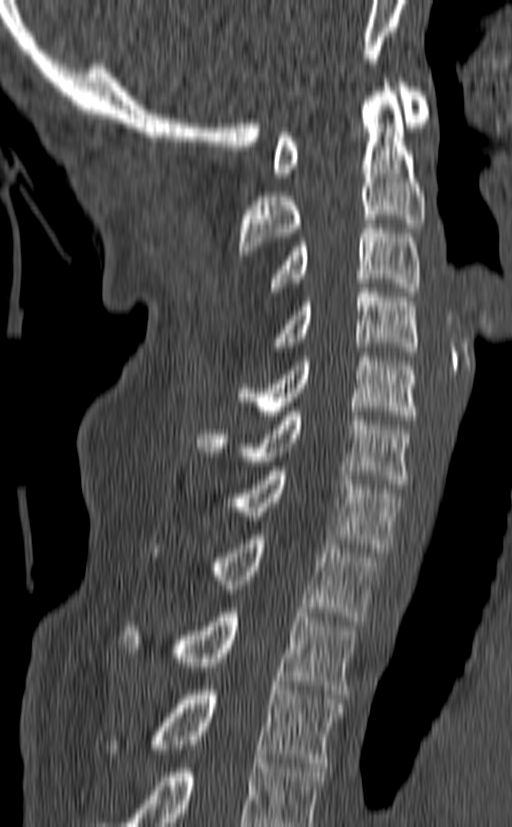

Spine computed tomography — image width 140 mm — sagittal view

Each vertebra maps to its box as [x1, y1, x2, y2], the pixel coordinates of its top-left and bottom-right corners.
In this scan, the topmost labeled vertebra is C1 and the lowest is T3.
{"vertebrae":{"C1":[272,78,428,177],"C2":[238,78,425,255],"C3":[268,219,421,296],"C4":[272,288,417,356],"C5":[237,352,417,420],"C6":[196,411,410,488],"C7":[239,466,399,552],"T1":[150,535,381,621],"T2":[121,608,356,694],"T3":[155,686,342,767]}}